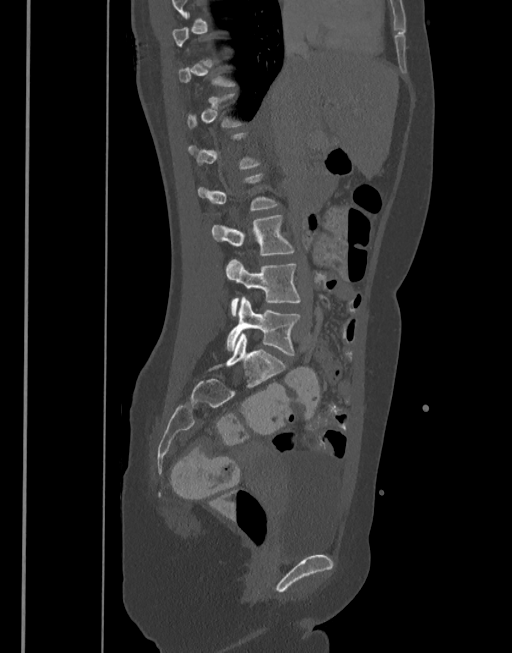 Computed tomography of the spine · sagittal view · 512x653 px
Bounding boxes as [x1, y1, x2, y2] in pixel coordinates. A vertebra is boxed only from the first to the last slice where its cross-section is at least a third of its largest; slices outside that range leave it without a box. 3 vertebrae labeled — L3 at [212, 214, 295, 256]; L4 at [226, 259, 300, 316]; L5 at [227, 297, 302, 356].